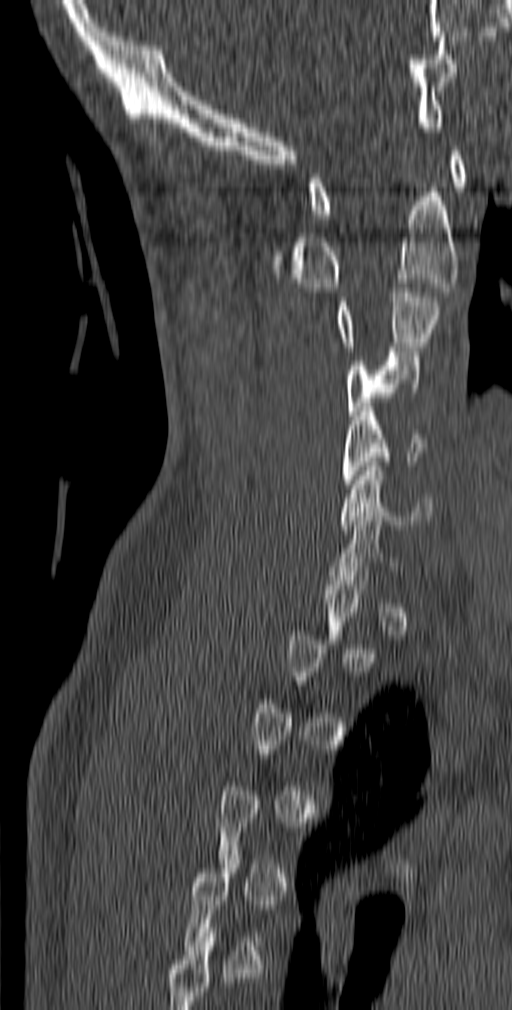
Spine computed tomography — sagittal view — W/L 1800/400 HU
Each box given as x1,y1,x2,y2.
A vertebra gets a box only on the slices from the first to the last where its cross-section is at least a third of its largest; on a slice outside that range it gets none.
| vertebra | x1 | y1 | x2 | y2 |
|---|---|---|---|---|
| C6 | 340 | 462 | 432 | 529 |
| C5 | 342 | 407 | 429 | 488 |
| C4 | 345 | 347 | 421 | 420 |
| C3 | 334 | 283 | 440 | 351 |
| C2 | 271 | 192 | 459 | 292 |
| C1 | 309 | 151 | 466 | 218 |